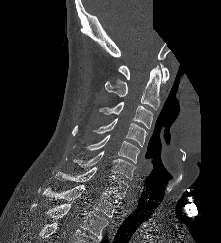 CT spine · sagittal view · 221 mm across the image · W/L 1800/400 HU · part of the scan has been removed (filled with constant black)
Each box is [x1, y1, x2, y2] in pixels: top-left corner, then bottom-right corner.
{"vertebrae":{"C1":[118,63,169,83],"C2":[105,65,161,109],"C3":[99,101,153,128],"C4":[92,118,147,146],"C5":[86,134,139,163],"C6":[73,151,136,179],"C7":[55,166,129,199],"T1":[42,184,120,217],"T2":[31,203,108,241]}}